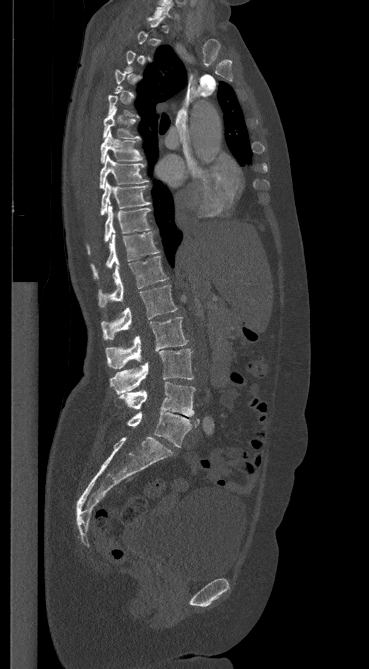

CT · sagittal view · 369x669 px
A vertebra is boxed only from the first to the last slice where its cross-section is at least a third of its largest; slices outside that range leave it without a box.
<vertebrae><v name="L5" x1="127" y1="411" x2="199" y2="447"/><v name="L4" x1="119" y1="382" x2="195" y2="416"/><v name="L3" x1="110" y1="349" x2="193" y2="393"/><v name="L2" x1="105" y1="317" x2="187" y2="369"/><v name="L1" x1="101" y1="285" x2="177" y2="339"/><v name="T12" x1="98" y1="256" x2="167" y2="307"/><v name="T11" x1="91" y1="231" x2="158" y2="278"/><v name="T10" x1="87" y1="206" x2="150" y2="254"/><v name="T9" x1="100" y1="181" x2="149" y2="215"/><v name="T8" x1="99" y1="155" x2="147" y2="188"/><v name="T7" x1="100" y1="132" x2="141" y2="163"/><v name="T6" x1="103" y1="108" x2="140" y2="140"/><v name="C7" x1="154" y1="1" x2="173" y2="17"/></vertebrae>